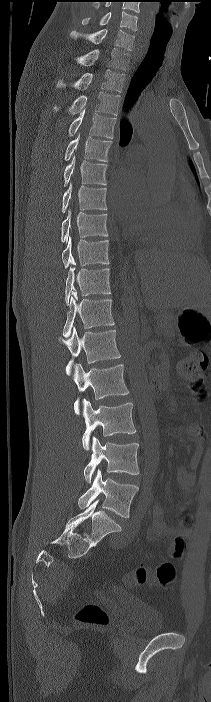
CT. sagittal view. Boxes are (x1, y1, x2, y2) in pixels.
The highest labeled vertebra in this scan is C7; the lowest is L4.
Vertebra bounding boxes:
- C7: (70, 29, 134, 50)
- T1: (74, 48, 129, 70)
- T2: (56, 69, 124, 92)
- T3: (54, 92, 119, 115)
- T4: (69, 109, 116, 138)
- T5: (65, 133, 112, 161)
- T6: (64, 155, 107, 186)
- T7: (62, 182, 107, 212)
- T8: (61, 209, 108, 242)
- T9: (62, 235, 109, 268)
- T10: (65, 267, 110, 305)
- T11: (63, 291, 114, 337)
- T12: (58, 326, 120, 375)
- L1: (72, 363, 128, 414)
- L2: (82, 398, 136, 449)
- L3: (83, 436, 139, 482)
- L4: (78, 469, 138, 517)